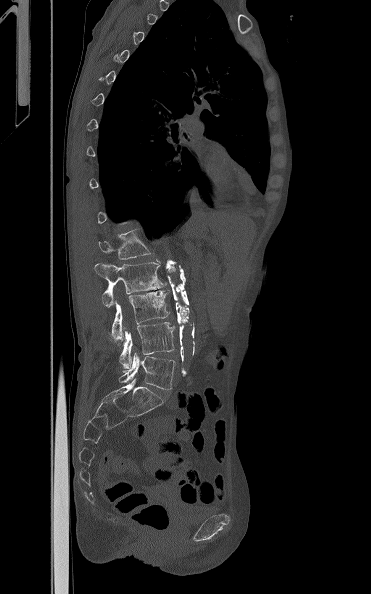
CT, spine. sagittal view. W/L 1800/400 HU. 371x594 px
<vertebrae><v name="L5" x1="119" y1="352" x2="175" y2="389"/><v name="L4" x1="119" y1="322" x2="174" y2="369"/><v name="L3" x1="110" y1="290" x2="170" y2="340"/><v name="L2" x1="95" y1="262" x2="168" y2="307"/><v name="L1" x1="98" y1="229" x2="152" y2="259"/></vertebrae>